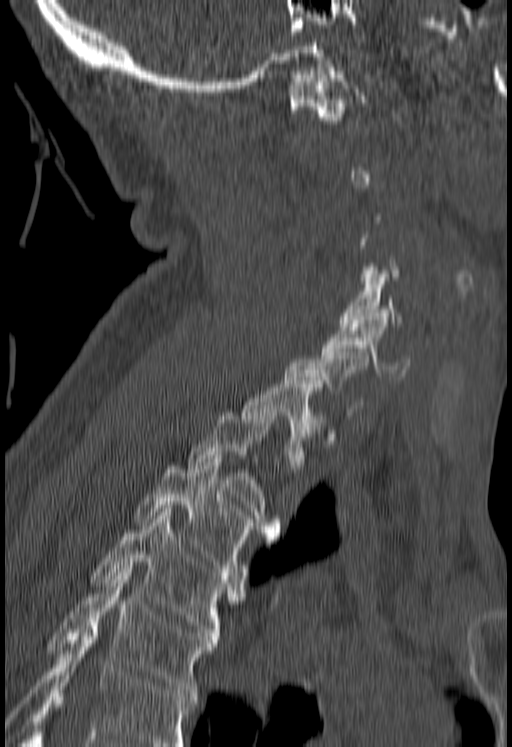 CT — sagittal view — W/L 1800/400 HU — 512x747 px

Not every vertebra on this slice has a box: a vertebra is boxed only from the first to the last slice where its cross-section is at least a third of its largest, and this slice is outside that range for at least one of them.
A vertebra cut off by the bottom edge of the scan is not labeled and has no box.
<vertebrae><v name="C1" x1="288" y1="68" x2="367" y2="120"/><v name="C5" x1="339" y1="270" x2="401" y2="326"/><v name="C6" x1="321" y1="316" x2="409" y2="379"/><v name="T1" x1="241" y1="380" x2="323" y2="465"/><v name="T2" x1="187" y1="412" x2="281" y2="536"/><v name="T3" x1="135" y1="459" x2="250" y2="575"/><v name="T4" x1="91" y1="512" x2="242" y2="639"/><v name="T5" x1="49" y1="569" x2="216" y2="696"/></vertebrae>